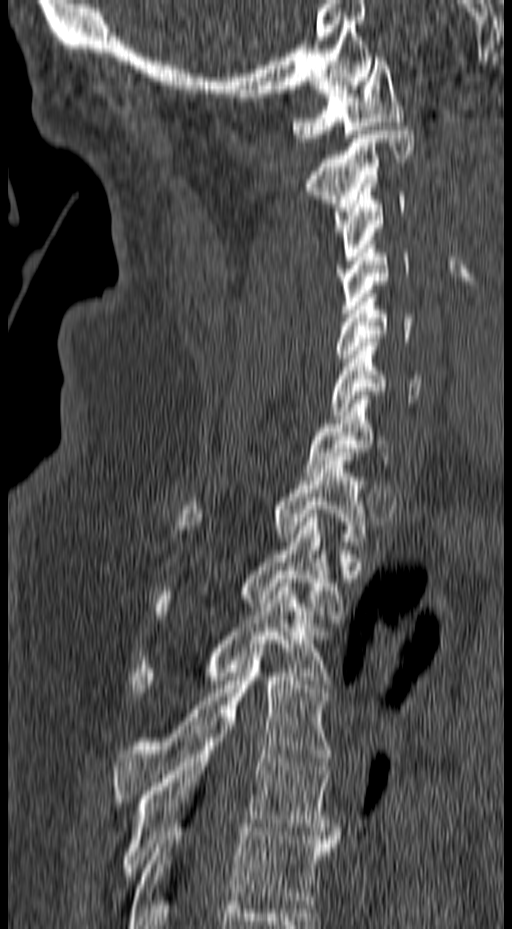 Spine computed tomography; sagittal view; Bone window (WL 400, WW 1800); 512x929 px. Boxes: x1:y1:x2:y2 in pixels.
Vertebra bounding boxes:
- C1: 291:57:405:142
- C2: 304:126:414:231
- C3: 332:188:407:260
- C4: 336:241:411:313
- C5: 334:294:414:362
- C6: 330:338:421:419
- C7: 304:391:393:476
- T1: 174:457:371:545
- T2: 151:514:343:615
- T3: 131:579:331:696
- T4: 111:648:333:802
- T5: 117:726:339:880
- T6: 127:828:336:928